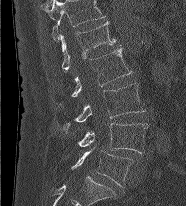
Spine computed tomography · image width 186 mm · sagittal view · bone window · 186x206 px
Boxes below are [x1, y1, x2, y2] in pixels.
The highest labeled vertebra in this scan is L1; the lowest is L5.
{"vertebrae":{"L1":[59,21,116,71],"L2":[71,48,132,97],"L3":[58,83,144,130],"L4":[78,123,149,154],"L5":[71,146,133,187]}}